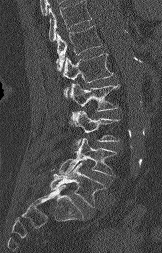 CT; sagittal reformat; bone window; 162x253 px
Bounding boxes as [x1, y1, x2, y2] in pixel coordinates. Vertebrae that run past the top of the scan are left unlabeled. 6 vertebrae labeled — L5 at [50, 163, 105, 207]; L4 at [58, 138, 116, 175]; L3 at [70, 110, 119, 145]; L2 at [70, 83, 119, 111]; L1 at [62, 53, 113, 96]; T12 at [56, 26, 102, 71].